CT — sagittal view — bone window — 512x1105 px — image 434 mm wide
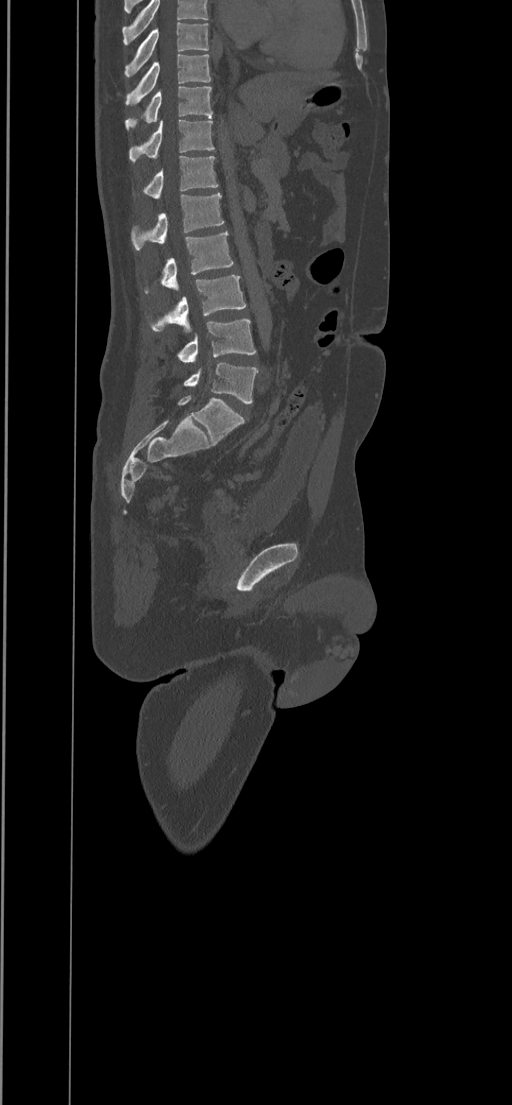 Boxes are (x1, y1, x2, y2) in pixels.
In this scan, the topmost labeled vertebra is T8 and the lowest is L5.
T8: (125, 22, 209, 77)
T9: (125, 54, 211, 105)
T10: (125, 86, 212, 129)
T11: (128, 119, 215, 163)
T12: (143, 156, 218, 199)
L1: (131, 193, 224, 250)
L2: (161, 233, 234, 292)
L3: (152, 275, 245, 332)
L4: (178, 319, 256, 362)
L5: (183, 362, 257, 404)